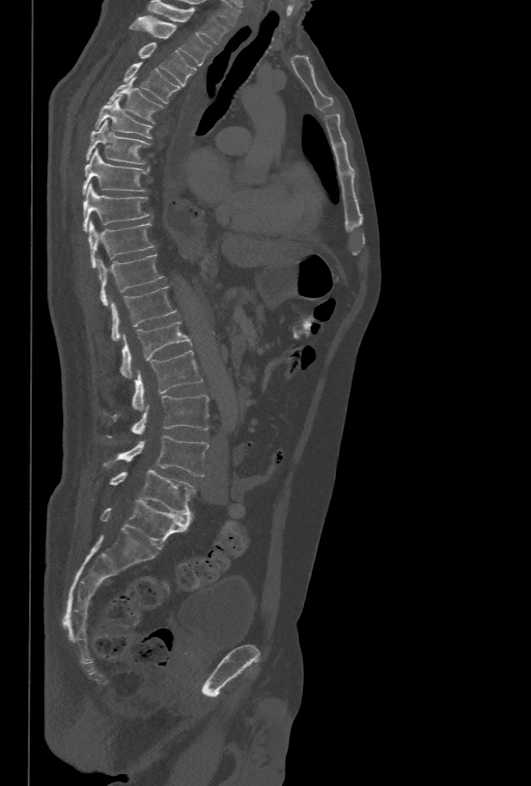 Spine CT; sagittal view; 478 mm across the image; W/L 1800/400 HU; 531x786 px. Coordinates as <box>x1,y1,x2,y2</box>.
L5: <box>109,469,196,514</box>
L4: <box>104,435,209,476</box>
L3: <box>131,395,209,434</box>
L2: <box>131,350,202,411</box>
L1: <box>120,322,191,378</box>
T12: <box>110,286,176,341</box>
T11: <box>98,254,163,305</box>
T10: <box>88,220,155,267</box>
T9: <box>83,184,150,232</box>
T8: <box>82,148,149,194</box>
T7: <box>85,120,150,164</box>
T6: <box>94,96,151,138</box>
T5: <box>107,79,163,123</box>
T4: <box>123,63,181,103</box>
T3: <box>138,42,196,85</box>
T2: <box>130,16,213,65</box>
T1: <box>147,0,228,44</box>